Spine CT — Sagittal slice 131/250 — 250x671 px
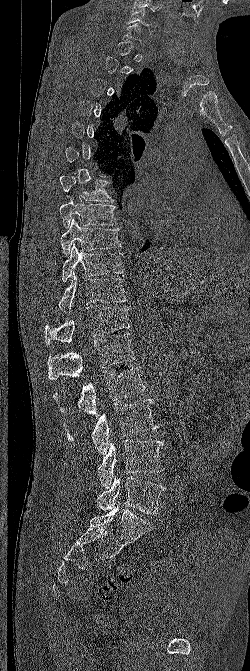
Each row gives a vertebra's box as x1, y1, x2, y2 in pixels: top-left corner, then bottom-right corner.
Not every vertebra on this slice has a box: a vertebra is boxed only from the first to the last slice where its cross-section is at least a third of its largest, and this slice is outside that range for at least one of them.
| vertebra | x1 | y1 | x2 | y2 |
|---|---|---|---|---|
| L5 | 96 | 473 | 165 | 514 |
| L4 | 97 | 440 | 163 | 488 |
| L3 | 63 | 399 | 158 | 454 |
| L2 | 53 | 366 | 145 | 417 |
| L1 | 47 | 333 | 135 | 380 |
| T12 | 45 | 306 | 130 | 344 |
| T11 | 58 | 272 | 127 | 313 |
| T10 | 62 | 243 | 123 | 282 |
| T9 | 60 | 218 | 122 | 256 |
| T8 | 59 | 198 | 117 | 229 |
| T7 | 59 | 175 | 114 | 202 |
| C6 | 127 | 8 | 158 | 30 |